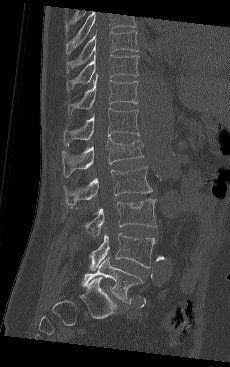
CT — sagittal view — bone window

Box edges are left/top/right/bottom in pixels.
This scan's labels start at T9 at the top and end at L5 at the bottom.
L5: left=82, top=256, right=143, bottom=302
L4: left=90, top=233, right=155, bottom=270
L3: left=85, top=198, right=157, bottom=235
L2: left=64, top=166, right=152, bottom=207
L1: left=62, top=138, right=143, bottom=177
T12: left=63, top=108, right=139, bottom=145
T11: left=67, top=74, right=138, bottom=114
T10: left=66, top=55, right=139, bottom=91
T9: left=66, top=30, right=138, bottom=72